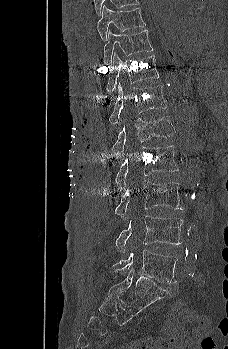
CT spine; sagittal view; 228x349 px

Coordinates as <box>x1,y1,x2,y2</box>. 9 vertebrae labeled — T9 at <box>97,5,145,41</box>; T10 at <box>103,29,153,65</box>; T11 at <box>106,52,159,93</box>; T12 at <box>109,82,166,127</box>; L1 at <box>111,116,175,156</box>; L2 at <box>115,145,179,187</box>; L3 at <box>114,180,184,220</box>; L4 at <box>115,215,183,252</box>; L5 at <box>112,250,178,283</box>.